Spine computed tomography; sagittal view; 778x725 px; scan covers 8 annotated vertebrae
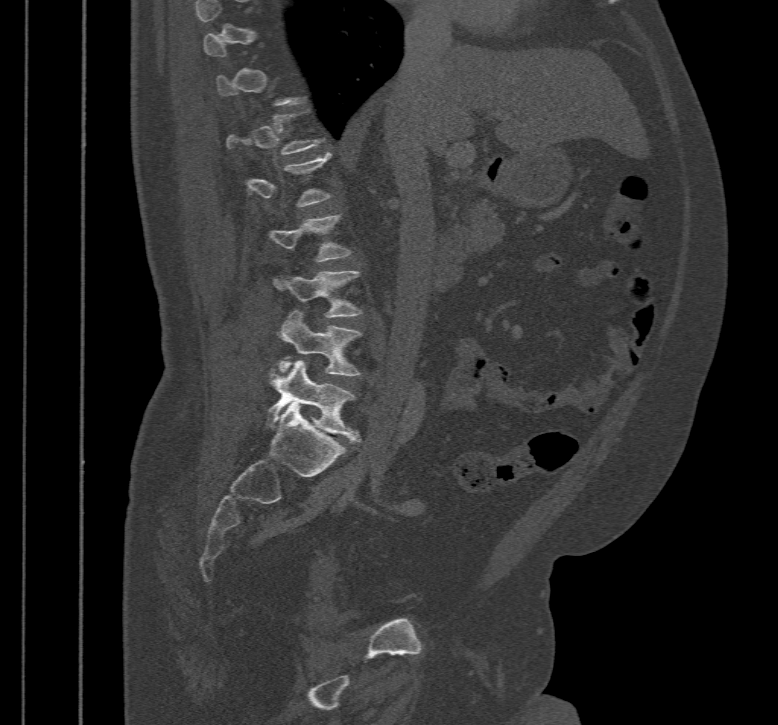
Boxes: x1:y1:x2:y2 in pixels.
A vertebra is boxed only from the first to the last slice where its cross-section is at least a third of its largest; slices outside that range leave it without a box.
L5: 266:360:359:443
L4: 278:310:361:376
L3: 275:270:361:316